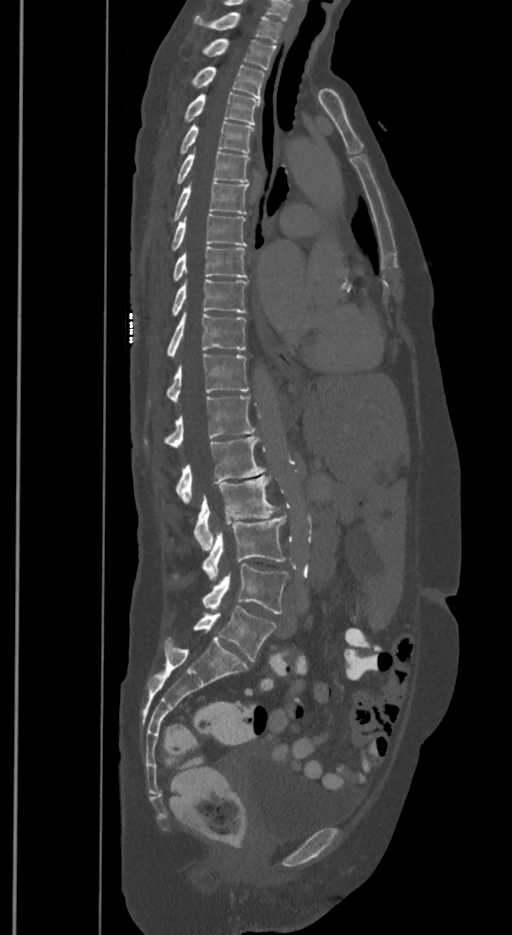 CT spine. sagittal view. W/L 1800/400 HU
Box edges are left/top/right/bottom in pixels.
The labels name a sixth lumbar vertebra for this spine: L6, after L5.
T1: left=194, top=12, right=281, bottom=42
T2: left=203, top=38, right=275, bottom=69
T3: left=191, top=65, right=264, bottom=98
T4: left=184, top=92, right=259, bottom=125
T5: left=180, top=121, right=253, bottom=154
T6: left=177, top=151, right=249, bottom=183
T7: left=174, top=182, right=247, bottom=220
T8: left=171, top=213, right=246, bottom=250
T9: left=172, top=246, right=246, bottom=282
T10: left=172, top=279, right=246, bottom=315
T11: left=167, top=312, right=246, bottom=356
T12: left=167, top=354, right=249, bottom=402
L1: left=145, top=396, right=255, bottom=448
L2: left=175, top=436, right=265, bottom=502
L3: left=194, top=475, right=278, bottom=551
L4: left=202, top=516, right=285, bottom=584
L5: left=202, top=563, right=288, bottom=614
L6: left=193, top=606, right=275, bottom=661